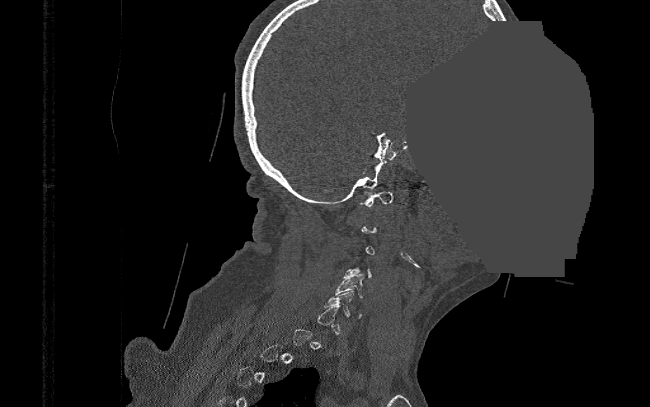
Spine CT; sagittal view; W/L 1800/400 HU; part of the image is a flat gray fill, not anatomy. Boxes are (x1, y1, x2, y2) in pixels.
Not every vertebra on this slice has a box: a vertebra is boxed only from the first to the last slice where its cross-section is at least a third of its largest, and this slice is outside that range for at least one of them.
C1: (359, 191, 394, 206)
C5: (334, 274, 363, 298)
C6: (324, 290, 363, 318)